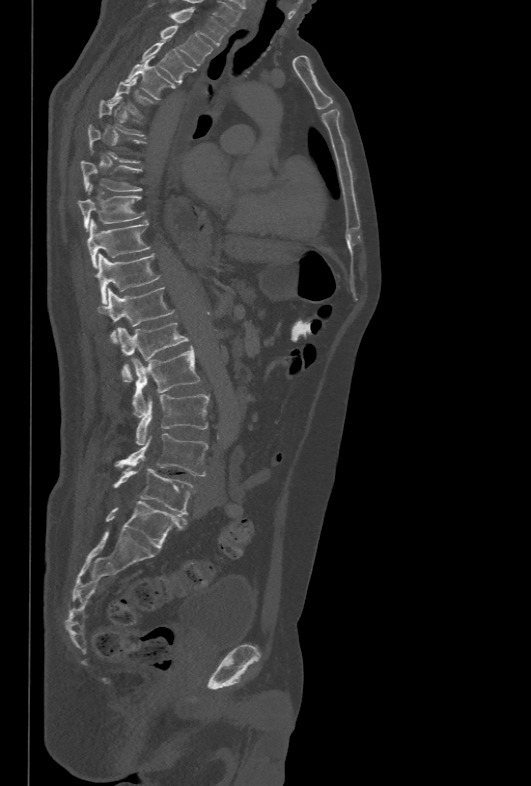 Spine computed tomography · sagittal view · W/L 1800/400 HU
Each vertebra maps to its box as [x1, y1, x2, y2], the pixel coordinates of its top-left and bottom-right corners.
A vertebra gets a box only on the slices from the first to the last where its cross-section is at least a third of its largest; on a slice outside that range it gets none.
{"vertebrae":{"T1":[170,7,228,45],"T2":[160,25,214,65],"T3":[141,38,194,83],"T4":[124,61,173,98],"T5":[108,78,153,116],"T8":[80,160,141,191],"T9":[78,185,144,231],"T10":[87,219,150,267],"T11":[95,253,160,303],"T12":[96,287,174,342],"L1":[118,323,189,382],"L2":[131,348,200,416],"L3":[136,394,209,445],"L4":[114,433,208,476],"L5":[113,468,193,514]}}